CT spine — sagittal reformat — bone window — 512x973 px — 17 vertebrae labeled in this scan
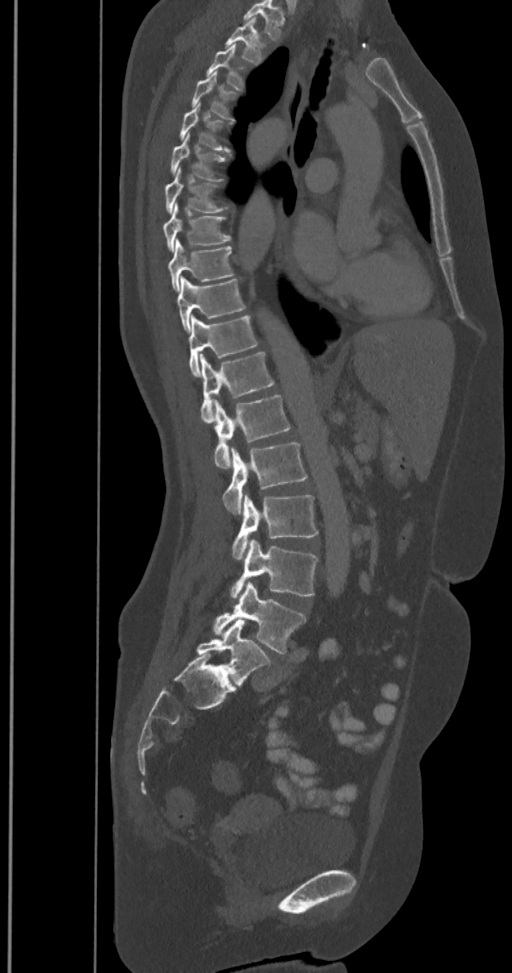
Each box given as x1,y1,x2,y2.
Labels in this scan begin with T2 at the top and end with L6 at the bottom.
In these labels the spine has an L6, a sixth lumbar vertebra below L5.
| vertebra | x1 | y1 | x2 | y2 |
|---|---|---|---|---|
| T2 | 225 | 18 | 268 | 65 |
| T3 | 206 | 45 | 247 | 91 |
| T4 | 190 | 71 | 237 | 121 |
| T5 | 178 | 103 | 231 | 152 |
| T6 | 169 | 133 | 227 | 181 |
| T7 | 165 | 167 | 228 | 212 |
| T8 | 164 | 204 | 231 | 250 |
| T9 | 168 | 238 | 234 | 291 |
| T10 | 177 | 276 | 246 | 332 |
| T11 | 188 | 316 | 258 | 376 |
| T12 | 200 | 352 | 274 | 422 |
| L1 | 213 | 395 | 290 | 469 |
| L2 | 222 | 442 | 307 | 514 |
| L3 | 232 | 495 | 318 | 560 |
| L4 | 231 | 540 | 318 | 599 |
| L5 | 213 | 582 | 306 | 653 |
| L6 | 197 | 619 | 271 | 685 |